CT, spine. sagittal view. 211x702 px. 17 vertebrae labeled in this scan
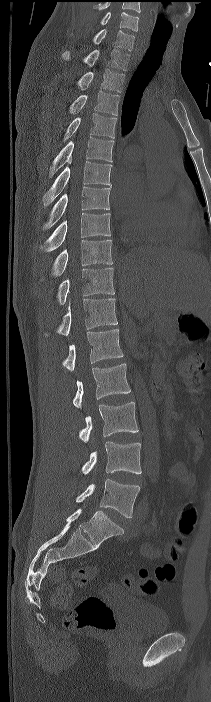 Each row gives a vertebra's box as x1, y1, x2, y2 in pixels: top-left corner, then bottom-right corner.
The highest labeled vertebra in this scan is C7; the lowest is L4.
| vertebra | x1 | y1 | x2 | y2 |
|---|---|---|---|---|
| C7 | 93 | 29 | 134 | 50 |
| T1 | 62 | 49 | 129 | 70 |
| T2 | 77 | 69 | 125 | 92 |
| T3 | 69 | 90 | 119 | 115 |
| T4 | 63 | 113 | 116 | 142 |
| T5 | 49 | 136 | 114 | 178 |
| T6 | 43 | 161 | 112 | 206 |
| T7 | 41 | 186 | 110 | 229 |
| T8 | 40 | 213 | 110 | 251 |
| T9 | 52 | 240 | 112 | 276 |
| T10 | 56 | 268 | 114 | 304 |
| T11 | 42 | 298 | 117 | 336 |
| T12 | 63 | 329 | 123 | 371 |
| L1 | 72 | 363 | 130 | 408 |
| L2 | 79 | 402 | 138 | 442 |
| L3 | 81 | 441 | 141 | 474 |
| L4 | 76 | 478 | 139 | 518 |